Spine CT — sagittal plane, index 77 — 183x211 px — 5 vertebrae labeled in this scan
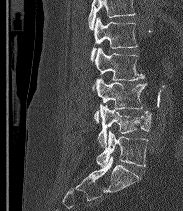

Boxes below are [x1, y1, x2, y2] in pixels.
No box is given to a vertebra that the top edge of the scan cuts off.
These labels give the spine a sixth lumbar vertebra, L6, below L5.
{"vertebrae":{"L6":[96,131,148,166],"L5":[97,105,151,147],"L4":[94,78,146,122],"L3":[93,47,144,89],"L2":[91,17,137,61]}}